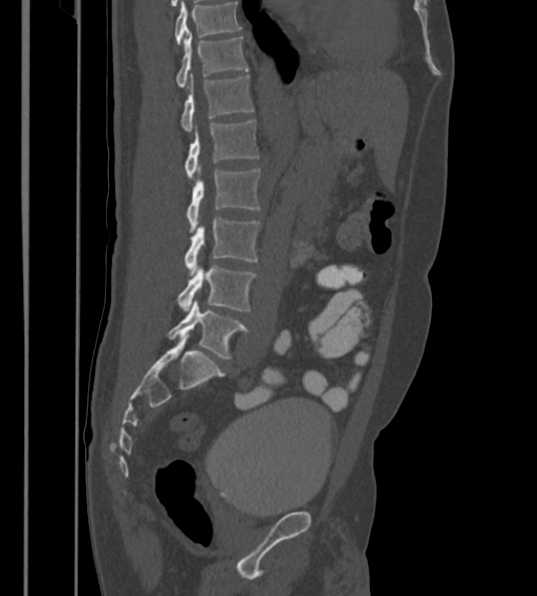

Spine computed tomography — sagittal view — Bone window (WL 400, WW 1800) — 537x596 px

Boxes: x1 y1 x2 y2 (pixel coords, space-separated).
In this scan, the topmost labeled vertebra is T12 and the lowest is L6.
These labels give the spine a sixth lumbar vertebra, L6, below L5.
T12: 176 36 248 89
L1: 181 74 254 131
L2: 185 120 259 180
L3: 186 166 260 231
L4: 185 216 260 275
L5: 177 265 255 311
L6: 168 300 248 359